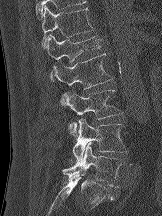
CT, spine · sagittal reformat · bone-window reconstruction · 162x216 px
<vertebrae><v name="T12" x1="42" y1="6" x2="93" y2="48"/><v name="L1" x1="46" y1="34" x2="100" y2="81"/><v name="L2" x1="53" y1="53" x2="113" y2="104"/><v name="L3" x1="60" y1="90" x2="122" y2="137"/><v name="L4" x1="72" y1="118" x2="127" y2="162"/><v name="L5" x1="61" y1="142" x2="124" y2="187"/></vertebrae>